Computed tomography of the spine; sagittal view; bone-window reconstruction; 617x640 px; 17 vertebrae labeled in this scan
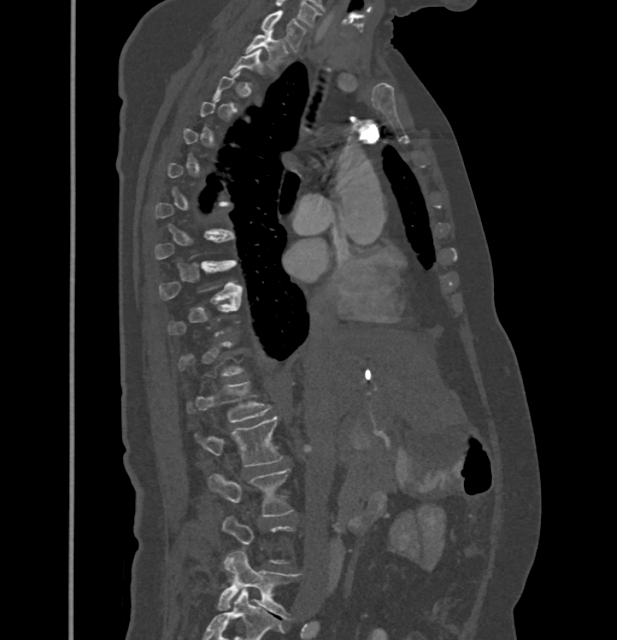 Bounding boxes as [x1, y1, x2, y2] in pixel coordinates.
Each vertebra is boxed only on the slices from the first to the last where its cross-section reaches a third of its largest, so a slice outside that range leaves it unboxed.
C7: [262, 10, 305, 51]
T1: [246, 30, 286, 68]
T9: [158, 260, 241, 302]
L1: [194, 382, 270, 422]
L2: [202, 416, 283, 466]
L3: [209, 469, 292, 516]
L5: [217, 550, 299, 619]